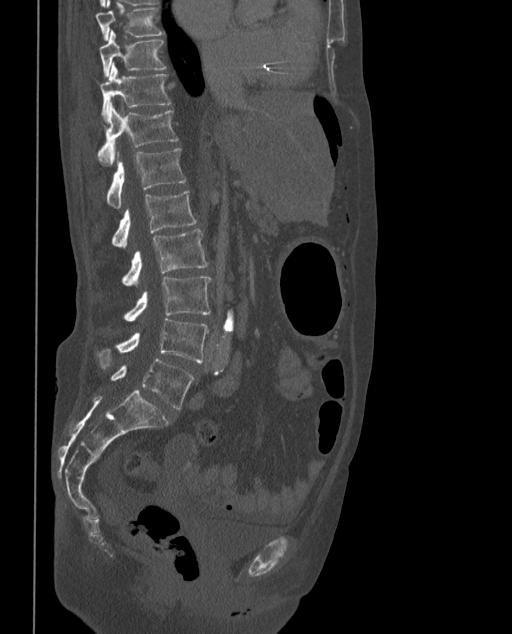
CT, spine. sagittal view. bone window. 512x634 px
Bounding boxes as [x1, y1, x2, y2] in pixel coordinates.
These labels give the spine a sixth lumbar vertebra, L6, below L5.
L6: [111, 359, 194, 409]
L5: [97, 319, 209, 370]
L4: [123, 275, 210, 321]
L3: [122, 229, 207, 286]
L2: [111, 190, 196, 249]
L1: [107, 148, 185, 208]
T12: [97, 106, 177, 165]
T11: [99, 64, 170, 120]
T10: [99, 31, 166, 77]
T9: [96, 0, 164, 40]